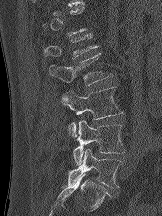

CT; sagittal view; 162x216 px
A vertebra gets a box only on the slices from the first to the last where its cross-section is at least a third of its largest; on a slice outside that range it gets none.
<vertebrae><v name="L1" x1="43" y1="34" x2="98" y2="58"/><v name="L2" x1="48" y1="53" x2="112" y2="86"/><v name="L3" x1="61" y1="86" x2="123" y2="138"/><v name="L4" x1="73" y1="120" x2="125" y2="165"/><v name="L5" x1="68" y1="149" x2="122" y2="188"/></vertebrae>